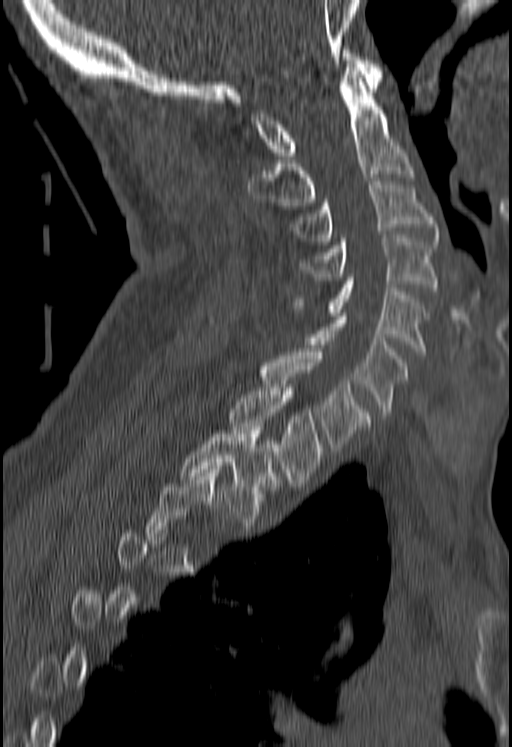
Spine computed tomography; sagittal view

Boxes: x1:y1:x2:y2 in pixels.
Each vertebra is boxed only on the slices from the first to the last where its cross-section reaches a third of its largest, so a slice outside that range leaves it unboxed.
Vertebra bounding boxes:
- C1: 250:50:382:159
- C2: 248:68:412:205
- C3: 291:181:438:241
- C4: 298:235:438:291
- C5: 292:277:427:355
- C6: 308:313:407:415
- C7: 204:320:370:451
- T1: 228:384:322:483
- T2: 180:427:279:522